Computed tomography of the spine; sagittal reformat; 512x594 px; the image spans 442 mm across
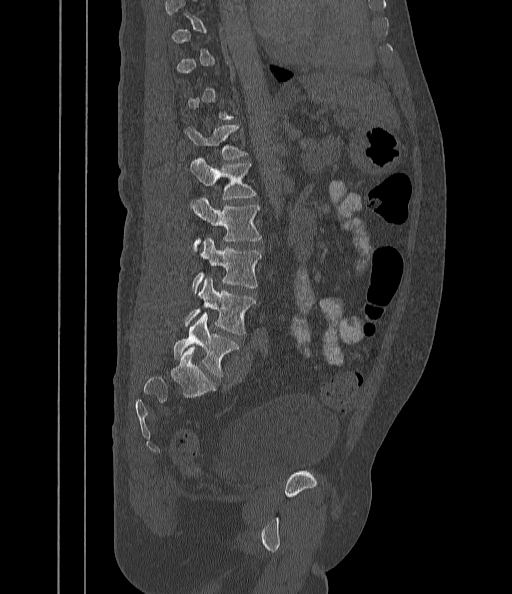
Boxes: x1:y1:x2:y2 in pixels. A vertebra is boxed only from the first to the last slice where its cross-section is at least a third of its largest; slices outside that range leave it without a box. Vertebrae labeled: L5 at 174:313:239:376, L4 at 185:278:256:334, L3 at 192:238:262:293, L2 at 192:198:262:251, L1 at 190:158:256:199, T12 at 185:125:247:159.